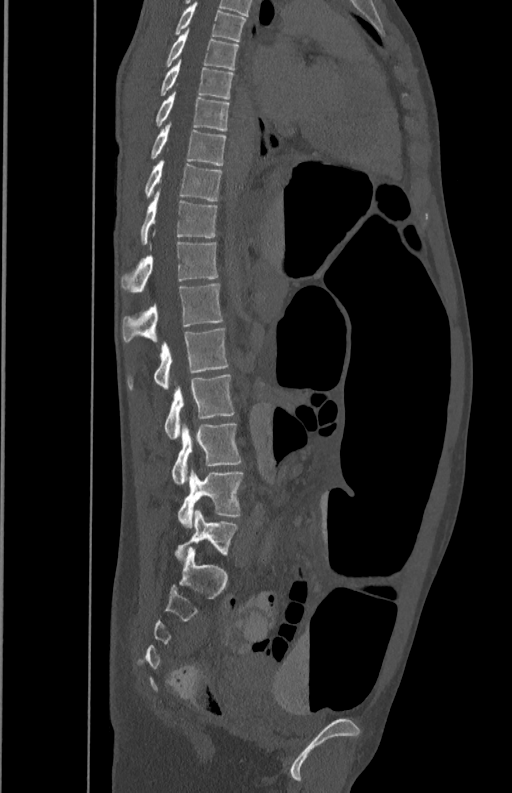

CT · sagittal view · W/L 1800/400 HU · 512x793 px · image 350 mm wide

Box edges are left/top/right/bottom in pixels. Vertebrae labeled: T5 at left=175, top=1, right=246, bottom=41, T6 at left=165, top=30, right=239, bottom=69, T7 at left=161, top=59, right=233, bottom=98, T8 at left=155, top=92, right=228, bottom=131, T9 at left=150, top=122, right=226, bottom=165, T10 at left=145, top=159, right=223, bottom=200, T11 at left=140, top=190, right=217, bottom=243, T12 at left=121, top=241, right=218, bottom=291, L1 at left=121, top=283, right=223, bottom=343, L2 at left=127, top=328, right=228, bottom=389, L3 at left=164, top=374, right=234, bottom=439, L4 at left=171, top=423, right=242, bottom=485, L5 at left=178, top=469, right=243, bottom=527.